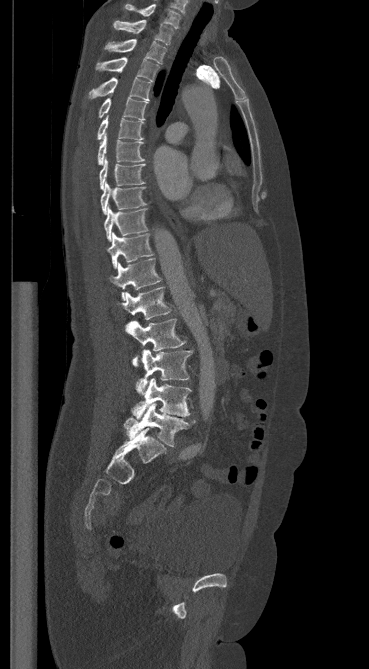 CT spine. sagittal view. 369 mm image width

Box edges are left/top/right/bottom in pixels. The labeled vertebrae in this slice are: C7 at left=125, top=4, right=180, bottom=28, T1 at left=114, top=20, right=173, bottom=44, T2 at left=104, top=39, right=166, bottom=64, T3 at left=96, top=57, right=159, bottom=81, T4 at left=89, top=77, right=150, bottom=100, T5 at left=98, top=97, right=148, bottom=120, T6 at left=97, top=116, right=144, bottom=140, T7 at left=97, top=135, right=143, bottom=164, T8 at left=99, top=157, right=145, bottom=189, T9 at left=100, top=181, right=145, bottom=214, T10 at left=104, top=206, right=148, bottom=241, T11 at left=108, top=233, right=153, bottom=268, T12 at left=110, top=258, right=161, bottom=300, L1 at left=117, top=287, right=171, bottom=319, L2 at left=126, top=319, right=185, bottom=366, L3 at left=136, top=349, right=192, bottom=392, L4 at left=132, top=378, right=191, bottom=419, L5 at left=124, top=403, right=195, bottom=446.